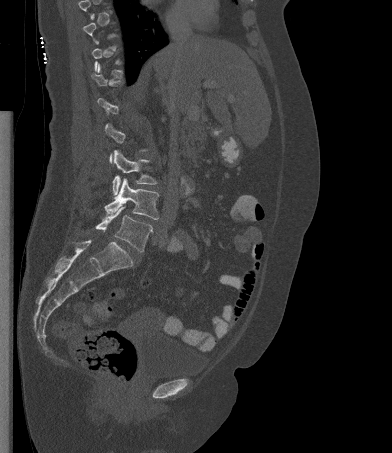
CT — sagittal reformat

A vertebra gets a box only on the slices from the first to the last where its cross-section is at least a third of its largest; on a slice outside that range it gets none.
<vertebrae><v name="L3" x1="112" y1="150" x2="157" y2="195"/><v name="L4" x1="104" y1="178" x2="159" y2="219"/><v name="L5" x1="95" y1="206" x2="152" y2="252"/></vertebrae>